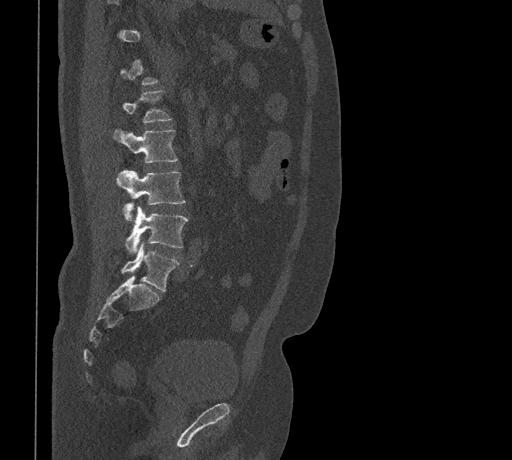

CT, spine · sagittal view · 512x460 px · image 461 mm wide
Boxes: x1 y1 x2 y2 (pixel coords, space-separated). A vertebra gets a box only on the slices from the first to the last where its cross-section is at least a third of its largest; on a slice outside that range it gets none. The labeled vertebrae in this slice are: L1 at 122 90 172 122, L2 at 113 129 177 162, L3 at 117 169 185 220, L4 at 125 207 189 252, L5 at 121 242 179 291.